Computed tomography of the spine — sagittal plane, index 225 — 10 vertebrae labeled in this scan
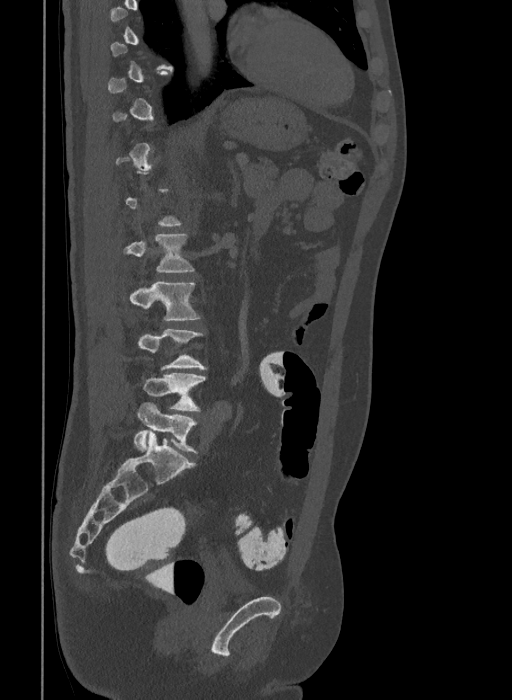 Coordinates as <box>x1,y1,x2,y2</box>.
Not every vertebra on this slice has a box: a vertebra is boxed only from the first to the last slice where its cross-section is at least a third of its largest, and this slice is outside that range for at least one of them.
In these labels the spine has an L6, a sixth lumbar vertebra below L5.
Vertebra bounding boxes:
- L6: <box>134,402,199,453</box>
- L5: <box>143,373,207,411</box>
- L4: <box>138,329,207,370</box>
- L3: <box>129,282,200,321</box>
- L2: <box>124,234,195,272</box>